Spine computed tomography; sagittal reformat; 512x1357 px; some of the image was removed or blocked out with constant pixels
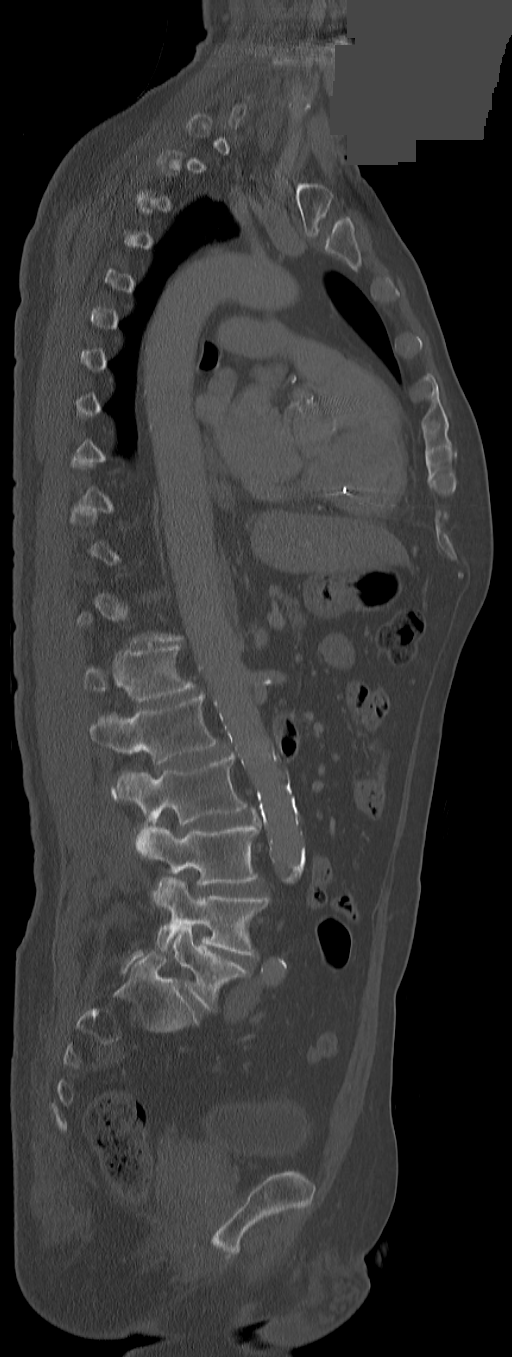

Box values are [left, top, right, bottom] in pixels.
Each vertebra is boxed only on the slices from the first to the last where its cross-section reaches a third of its largest, so a slice outside that range leaves it unboxed.
The labels name an extra thoracic vertebra here, T13, which comes after T12 and before L1.
{"vertebrae":{"T13":[83,645,195,702],"L1":[90,692,218,763],"L2":[111,754,247,857],"L3":[136,824,258,885],"L4":[153,877,269,955],"L5":[173,927,247,1010]}}